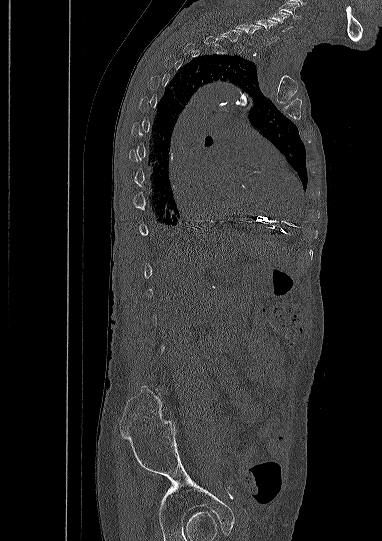
CT, spine; sagittal reformat; bone window

Boxes are (x1, y1, x2, y2) in pixels. A vertebra is boxed only from the first to the last slice where its cross-section is at least a third of its largest; slices outside that range leave it without a box. Labels in this scan begin with C5 at the top and end with L5 at the bottom. 2 vertebrae labeled — C5 at (269, 12, 290, 31); C6 at (256, 19, 277, 41).